Spine CT · sagittal plane, index 37 · bone-window reconstruction
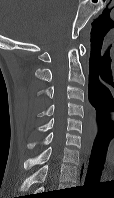

Labels in this scan begin with C1 at the top and end with C7 at the bottom.
<vertebrae><v name="C1" x1="38" y1="43" x2="85" y2="62"/><v name="C2" x1="35" y1="47" x2="85" y2="85"/><v name="C3" x1="37" y1="85" x2="83" y2="101"/><v name="C4" x1="38" y1="102" x2="83" y2="117"/><v name="C5" x1="37" y1="117" x2="81" y2="133"/><v name="C6" x1="27" y1="132" x2="80" y2="148"/><v name="C7" x1="24" y1="146" x2="79" y2="169"/></vertebrae>